CT; sagittal view
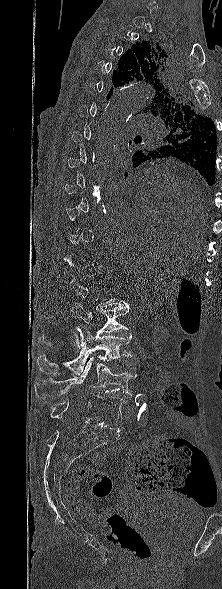 Boxes below are [x1, y1, x2, y2] in pixels.
Not every vertebra on this slice has a box: a vertebra is boxed only from the first to the last slice where its cross-section is at least a third of its largest, and this slice is outside that range for at least one of them.
{"vertebrae":{"L5":[50,394,124,430],"L4":[34,356,136,398],"L3":[37,328,132,374],"L2":[38,302,129,349]}}